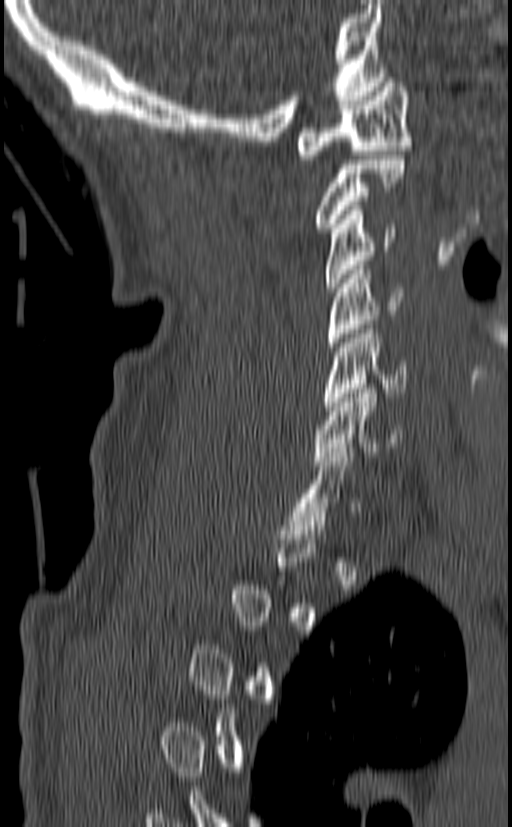
CT spine · sagittal view

Box edges are left/top/right/bottom in pixels.
Each vertebra is boxed only on the slices from the first to the last where its cross-section reaches a third of its largest, so a slice outside that range leaves it unboxed.
Vertebra bounding boxes:
- C1: left=294, top=78, right=411, bottom=159
- C2: left=312, top=155, right=406, bottom=232
- C3: left=325, top=206, right=396, bottom=292
- C4: left=327, top=265, right=403, bottom=351
- C5: left=322, top=325, right=410, bottom=410
- C6: left=313, top=384, right=401, bottom=465
- C7: left=289, top=448, right=361, bottom=534